CT spine. sagittal view. image width 350 mm
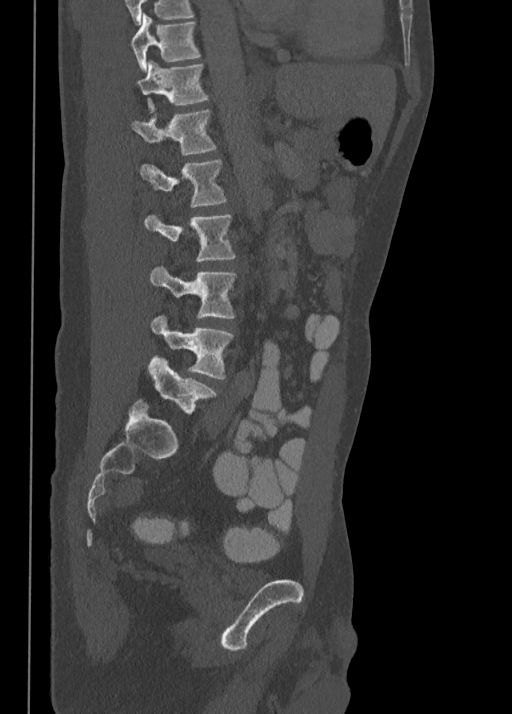 Coordinates as <box>x1,y1,x2,y2</box>.
T10: <box>130,14,199,70</box>
T11: <box>136,61,208,111</box>
T12: <box>131,109,216,156</box>
L1: <box>139,159,226,207</box>
L2: <box>145,215,234,261</box>
L3: <box>150,266,236,318</box>
L4: <box>150,316,233,379</box>
L5: <box>148,357,215,412</box>